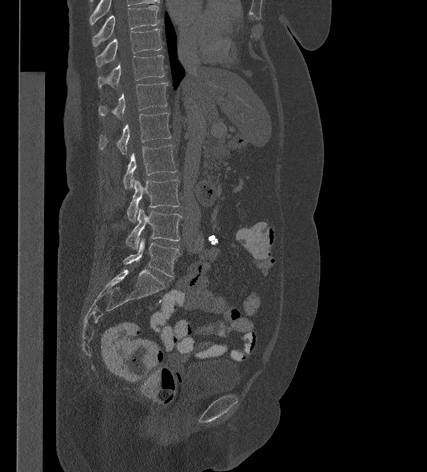

CT, spine — sagittal view — Bone window (WL 400, WW 1800)

Coordinates as <box>x1,y1,x2,y2</box>. 9 vertebrae labeled — T9 at <box>92,5,159,46</box>; T10 at <box>96,29,161,66</box>; T11 at <box>98,55,164,87</box>; T12 at <box>99,82,167,118</box>; L1 at <box>99,112,171,154</box>; L2 at <box>123,144,176,189</box>; L3 at <box>127,179,179,222</box>; L4 at <box>126,207,181,249</box>; L5 at <box>123,238,179,276</box>.